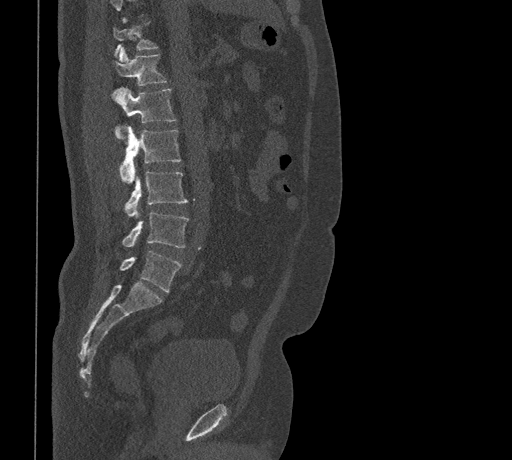

Computed tomography of the spine. sagittal view. Bone window (WL 400, WW 1800). 512x460 px. 461 mm image width
Vertebrae that run past the top of the scan are left unlabeled.
<vertebrae><v name="T11" x1="113" y1="22" x2="157" y2="57"/><v name="T12" x1="112" y1="48" x2="166" y2="86"/><v name="L1" x1="111" y1="87" x2="176" y2="137"/><v name="L2" x1="119" y1="126" x2="181" y2="182"/><v name="L3" x1="125" y1="170" x2="188" y2="217"/><v name="L4" x1="122" y1="211" x2="189" y2="247"/><v name="L5" x1="120" y1="251" x2="181" y2="292"/></vertebrae>